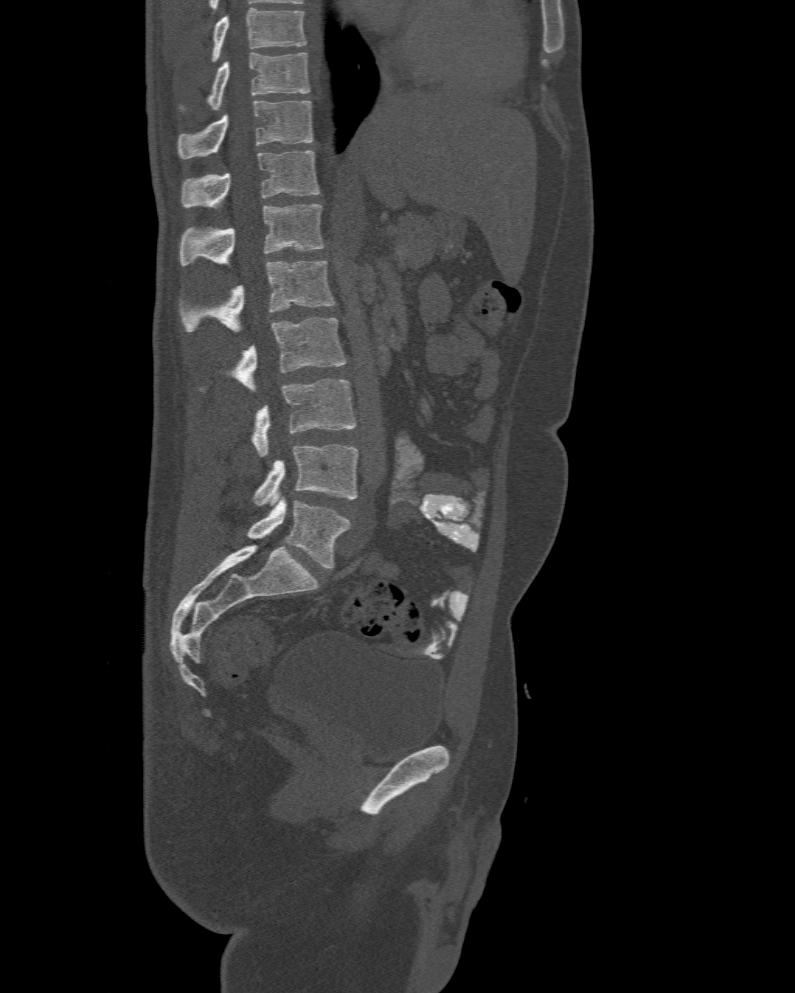

CT spine — sagittal view — 795x993 px. Bounding boxes as [x1, y1, x2, y2] in pixel coordinates.
Labels in this scan begin with T10 at the top and end with L6 at the bottom.
The labels name a sixth lumbar vertebra for this spine: L6, after L5.
Vertebra bounding boxes:
- T10: [207, 52, 310, 109]
- T11: [177, 100, 313, 159]
- T12: [182, 150, 319, 207]
- L1: [179, 203, 324, 266]
- L2: [180, 260, 336, 332]
- L3: [199, 317, 345, 391]
- L4: [252, 378, 356, 456]
- L5: [253, 445, 358, 506]
- L6: [247, 498, 350, 569]